CT spine. sagittal view. Bone window (WL 400, WW 1800). 593x528 px. image width 356 mm
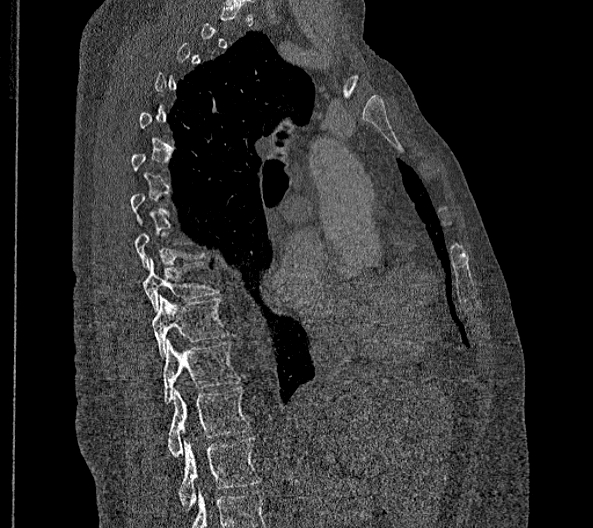 Boxes are (x1, y1, x2, y2) in pixels.
Not every vertebra on this slice has a box: a vertebra is boxed only from the first to the last slice where its cross-section is at least a third of its largest, and this slice is outside that range for at least one of them.
In these labels the thoracic vertebrae end at T11, so L1 follows T11.
T9: (143, 257, 219, 311)
T10: (152, 295, 227, 358)
T11: (163, 339, 240, 403)
L1: (167, 387, 250, 457)
L2: (177, 438, 261, 511)